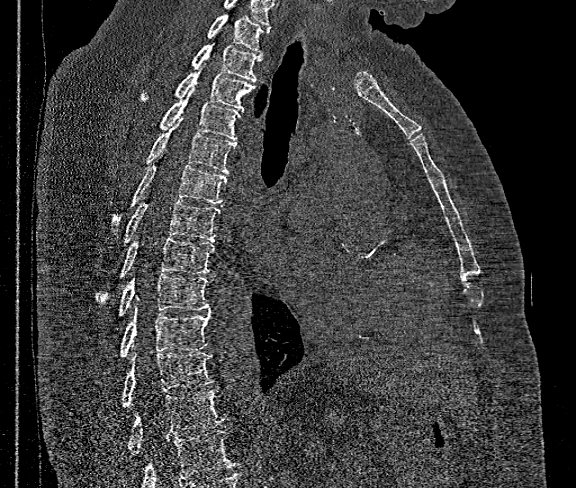

CT spine; sagittal view; 576x488 px; image 360 mm wide

Bounding boxes as [x1, y1, x2, y2] in pixel coordinates.
Vertebrae that run past the bottom of the scan are left unlabeled.
T1: [208, 12, 269, 52]
T2: [191, 30, 262, 81]
T3: [142, 63, 254, 110]
T4: [160, 87, 241, 140]
T5: [147, 118, 235, 174]
T6: [111, 165, 227, 231]
T7: [125, 200, 219, 243]
T8: [98, 237, 215, 302]
T9: [118, 274, 210, 316]
T10: [119, 308, 210, 358]
T11: [121, 352, 213, 407]
T12: [128, 389, 226, 454]